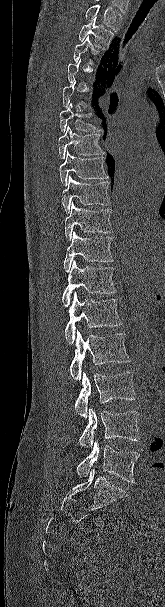 Computed tomography of the spine; sagittal view; Bone window (WL 400, WW 1800); 165x607 px

A vertebra is boxed only from the first to the last slice where its cross-section is at least a third of its largest; slices outside that range leave it without a box.
Where the top of the scan cuts through a vertebra, that vertebra gets no label or box.
<vertebrae><v name="L5" x1="76" y1="440" x2="139" y2="482"/><v name="L4" x1="78" y1="408" x2="139" y2="447"/><v name="L3" x1="74" y1="371" x2="135" y2="418"/><v name="L2" x1="69" y1="330" x2="130" y2="381"/><v name="L1" x1="65" y1="292" x2="122" y2="344"/><v name="T12" x1="62" y1="260" x2="117" y2="306"/><v name="T11" x1="63" y1="231" x2="113" y2="272"/><v name="T10" x1="65" y1="202" x2="113" y2="241"/><v name="T9" x1="62" y1="175" x2="110" y2="213"/><v name="T8" x1="59" y1="150" x2="108" y2="186"/><v name="T7" x1="58" y1="125" x2="104" y2="159"/><v name="T6" x1="59" y1="102" x2="102" y2="132"/><v name="T3" x1="73" y1="36" x2="98" y2="63"/><v name="T2" x1="79" y1="17" x2="113" y2="49"/></vertebrae>